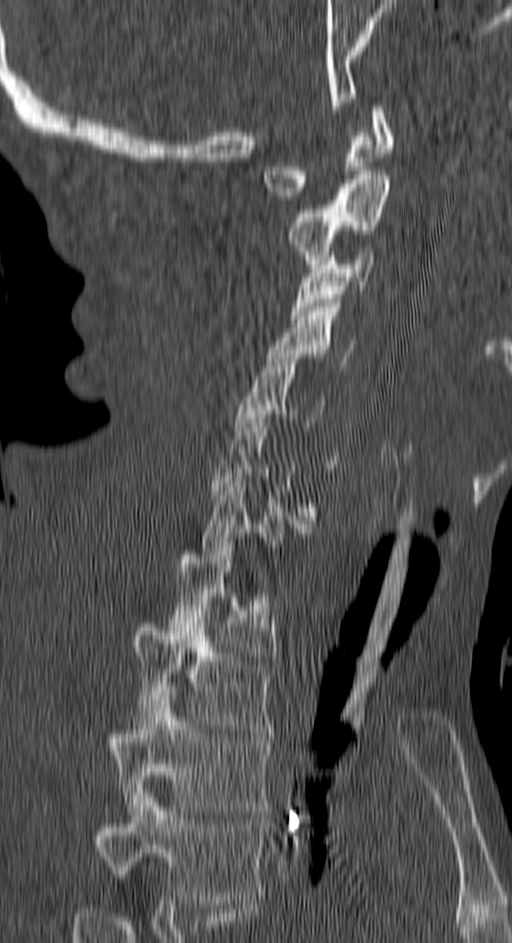 CT spine. 150 mm across the image. sagittal view. 512x943 px

Box values are [left, top, right, bottom] in pixels.
A vertebra is boxed only from the first to the last slice where its cross-section is at least a third of its largest; slices outside that range leave it without a box.
Labels in this scan begin with C1 at the top and end with T4 at the bottom.
{"vertebrae":{"C1":[264,102,393,200],"C2":[288,175,389,268],"C3":[291,247,372,319],"C4":[266,303,355,366],"C5":[235,354,324,430],"C7":[203,469,308,554],"T1":[168,542,275,660],"T2":[131,614,272,733],"T3":[104,691,270,814],"T4":[90,789,263,904]}}